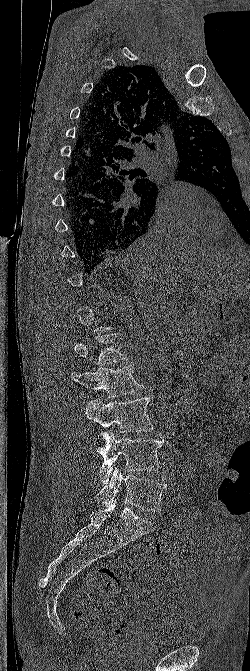

CT, spine — the image spans 250 mm across — sagittal view. Coordinates as <box>x1,y1,x2,y2</box>.
Each vertebra is boxed only on the slices from the first to the last where its cross-section reaches a third of its largest, so a slice outside that range leaves it unboxed.
Vertebra bounding boxes:
- L1: <box>73,333,127,365</box>
- L2: <box>70,364,143,398</box>
- L3: <box>85,397,153,432</box>
- L4: <box>96,431,163,483</box>
- L5: <box>95,467,166,511</box>